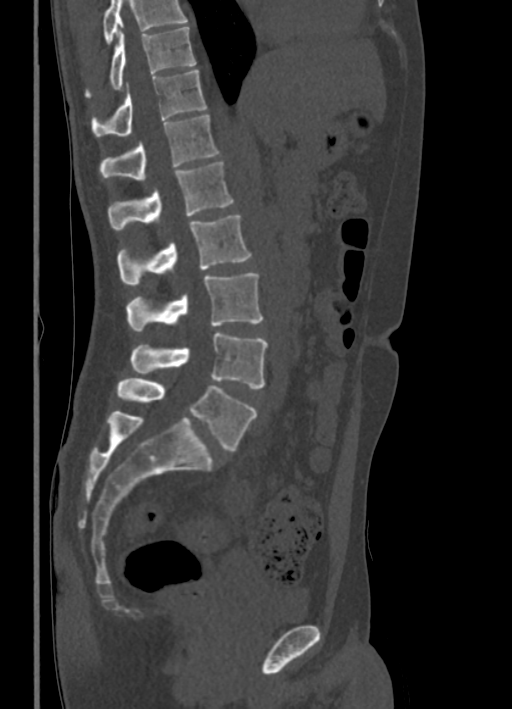
Spine computed tomography · sagittal view · bone-window reconstruction
Vertebrae that run past the top of the scan are left unlabeled.
<vertebrae><v name="L5" x1="117" y1="378" x2="256" y2="451"/><v name="L4" x1="131" y1="332" x2="267" y2="389"/><v name="L3" x1="126" y1="273" x2="262" y2="331"/><v name="L2" x1="117" y1="215" x2="252" y2="284"/><v name="L1" x1="108" y1="161" x2="233" y2="230"/><v name="T12" x1="100" y1="115" x2="220" y2="181"/><v name="T11" x1="91" y1="70" x2="206" y2="136"/><v name="T10" x1="85" y1="27" x2="195" y2="97"/></vertebrae>